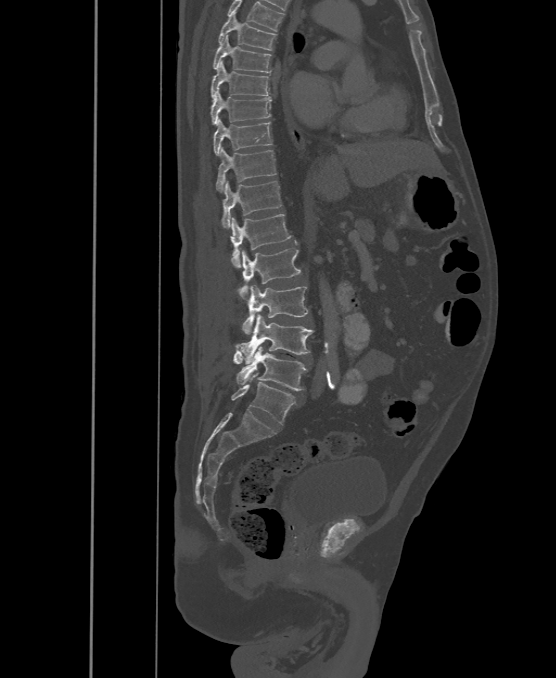 Computed tomography of the spine. sagittal reformat
Boxes below are [x1, y1, x2, y2] in pixels.
These labels give the spine a sixth lumbar vertebra, L6, below L5.
{"vertebrae":{"T6":[219,11,276,49],"T7":[213,35,271,73],"T8":[212,61,269,98],"T9":[211,91,271,125],"T10":[214,119,272,155],"T11":[216,147,276,192],"T12":[221,180,281,227],"L1":[230,214,291,268],"L2":[238,248,300,298],"L3":[242,285,308,333],"L4":[235,314,313,363],"L5":[233,346,307,390],"L6":[231,374,294,424]}}